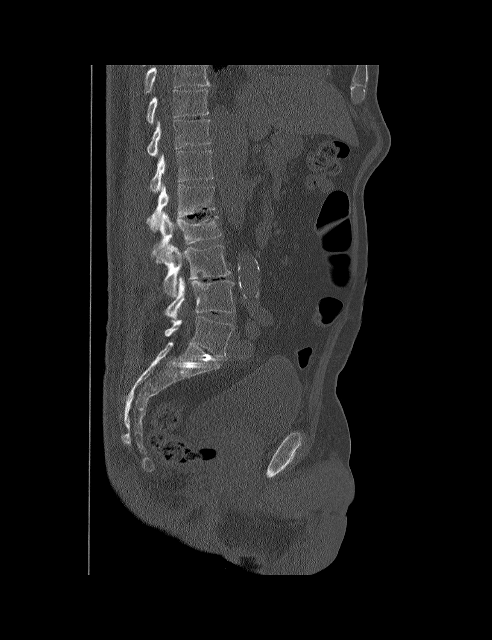 CT spine. sagittal view. 492 mm image width. bone-window reconstruction
Coordinates as <box>x1,y1,x2,y2</box>.
This scan's labels start at T10 at the top and end at L5 at the bottom.
Vertebra bounding boxes:
- T10: <box>147,89,208,123</box>
- T11: <box>147,119,210,156</box>
- T12: <box>150,150,213,192</box>
- L1: <box>146,182,214,230</box>
- L2: <box>152,211,221,256</box>
- L3: <box>156,244,230,297</box>
- L4: <box>164,276,235,321</box>
- L5: <box>164,316,233,357</box>